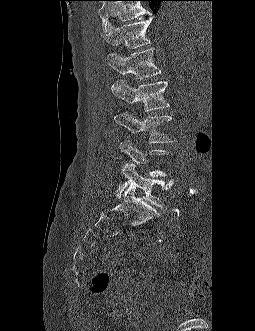
CT. sagittal view. Bone window (WL 400, WW 1800). 255x331 px

Boxes are (x1, y1, x2, y2) in pixels.
Vertebrae that run past the top of the scan are left unlabeled.
T12: (104, 17, 153, 48)
L1: (106, 48, 161, 79)
L2: (112, 80, 169, 111)
L3: (114, 112, 173, 143)
L4: (119, 139, 172, 177)
L5: (117, 163, 174, 209)